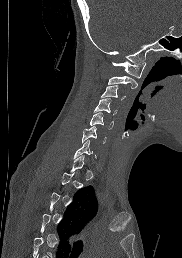
CT; sagittal view
Coordinates as <box>x1,y1,x2,y2</box>.
Not every vertebra on this slice has a box: a vertebra is boxed only from the first to the last slice where its cross-section is at least a third of its largest, and this slice is outside that range for at least one of them.
Vertebra bounding boxes:
- C1: <box>112,61,145,78</box>
- C2: <box>108,75,137,88</box>
- C3: <box>101,85,125,99</box>
- C4: <box>94,98,116,114</box>
- C5: <box>89,112,113,129</box>
- C6: <box>82,126,106,143</box>
- C7: <box>73,139,95,158</box>